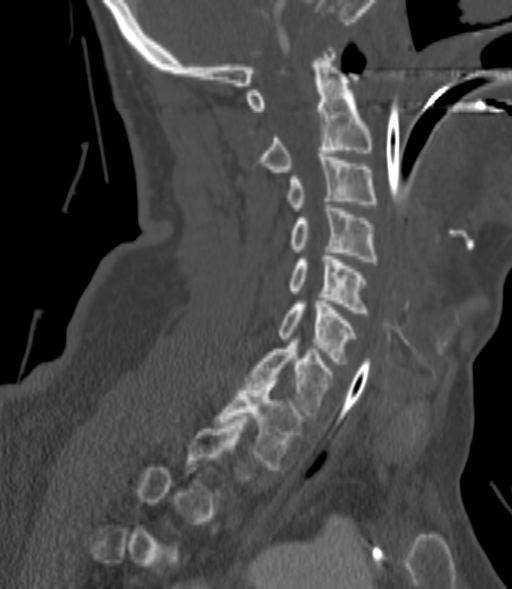 Spine CT; sagittal view

Each box given as x1,y1,x2,y2.
Each vertebra is boxed only on the slices from the first to the last where its cross-section reaches a third of its largest, so a slice outside that range leaves it unboxed.
C2: x1=252, y1=48, x2=371, y2=172
C3: x1=285, y1=157, x2=376, y2=210
C4: x1=290, y1=205, x2=379, y2=261
C5: x1=288, y1=253, x2=368, y2=313
C6: x1=277, y1=301, x2=356, y2=364
C7: x1=247, y1=339, x2=333, y2=415
T1: x1=216, y1=378, x2=302, y2=469